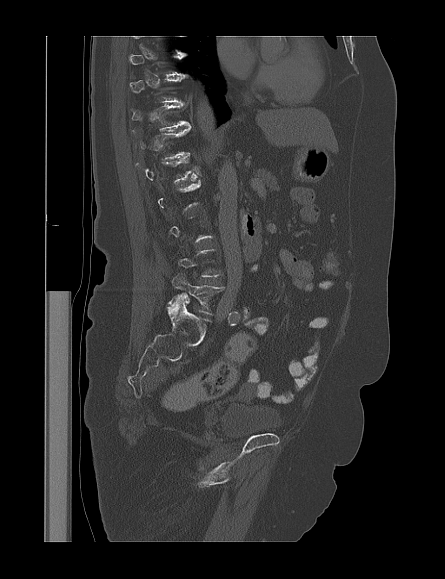
Spine CT · 445 mm wide · sagittal view · W/L 1800/400 HU. Box edges are left/top/right/bottom in pixels. Each vertebra is boxed only on the slices from the first to the last where its cross-section reaches a third of its largest, so a slice outside that range leaves it unboxed. The labeled vertebrae in this slice are: L5 at left=168, top=274, right=223, bottom=314, L1 at left=136, top=155, right=199, bottom=181, T12 at left=132, top=127, right=190, bottom=160, T11 at left=132, top=103, right=190, bottom=130.